Computed tomography of the spine; Sagittal slice 230/512; 160 mm across the image
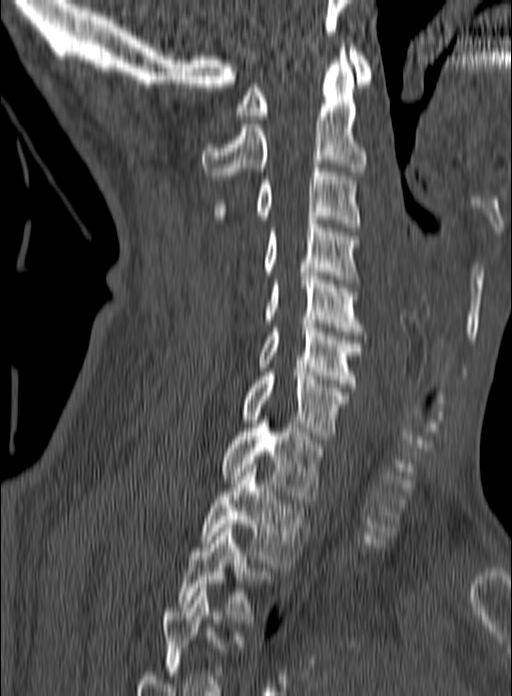 Boxes are (x1, y1, x2, y2) in pixels.
This scan's labels start at C1 at the top and end at T3 at the bottom.
C1: (235, 48, 373, 119)
C2: (202, 44, 366, 179)
C3: (213, 164, 360, 227)
C4: (223, 220, 361, 283)
C5: (263, 272, 365, 335)
C6: (257, 320, 362, 387)
C7: (241, 368, 349, 439)
T1: (219, 420, 325, 503)
T2: (200, 464, 307, 567)
T3: (177, 524, 267, 623)